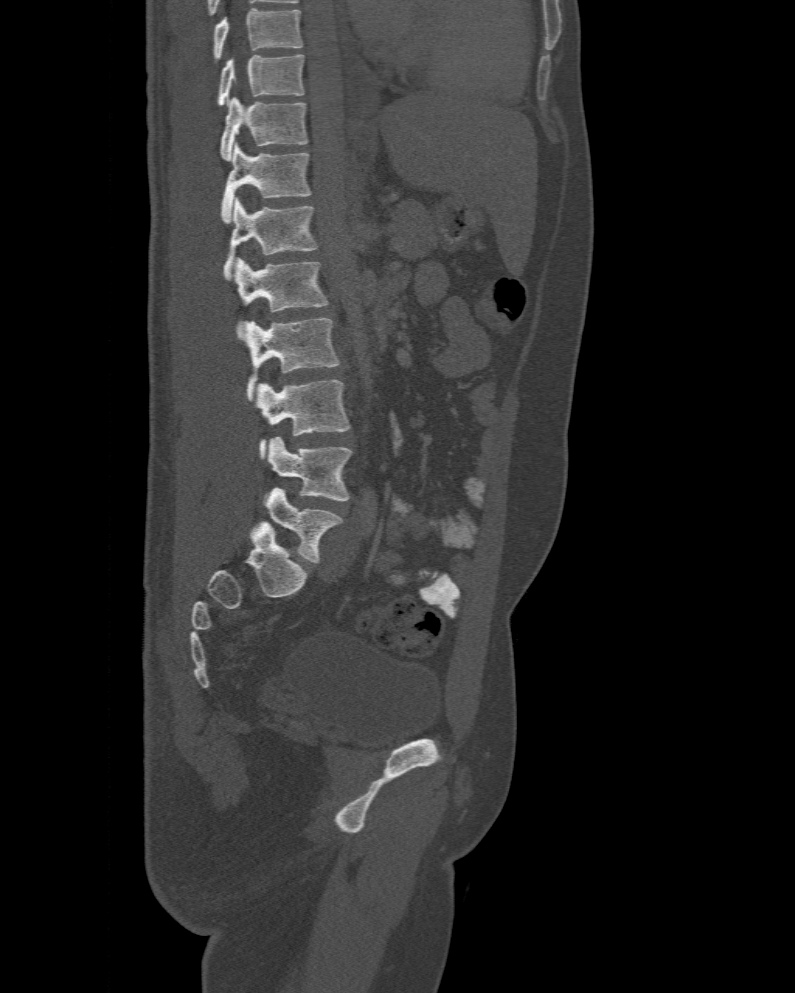

Spine computed tomography — sagittal view — Bone window (WL 400, WW 1800)

Bounding boxes as [x1, y1, x2, y2] in pixel coordinates. Labels in this scan begin with T10 at the top and end with L6 at the bottom. In these labels the spine has an L6, a sixth lumbar vertebra below L5. The labeled vertebrae in this slice are: T10 at [217, 53, 303, 106], T11 at [220, 97, 308, 161], T12 at [220, 142, 311, 223], L1 at [224, 197, 317, 280], L2 at [234, 258, 328, 326], L3 at [238, 317, 341, 402], L4 at [258, 380, 350, 459], L5 at [266, 437, 353, 501], L6 at [250, 487, 342, 562].